Spine computed tomography — Sagittal slice 232/512 — 512x659 px — 10 vertebrae labeled in this scan
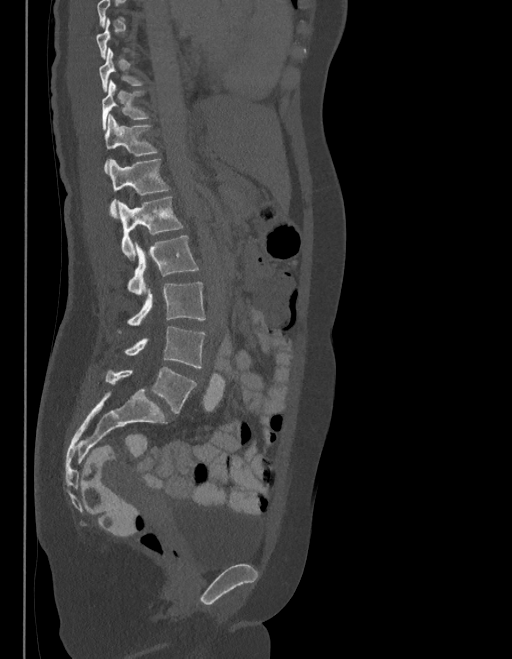 Box edges are left/top/right/bottom in pixels.
A vertebra gets a box only on the slices from the first to the last where its cross-section is at least a third of its largest; on a slice outside that range it gets none.
In these labels the spine has an L6, a sixth lumbar vertebra below L5.
T10: left=99, top=48, right=144, bottom=93
T11: left=102, top=81, right=149, bottom=129
T12: left=104, top=115, right=158, bottom=173
L1: left=109, top=158, right=169, bottom=219
L2: left=119, top=197, right=183, bottom=260
L3: left=127, top=236, right=198, bottom=293
L4: left=117, top=281, right=205, bottom=334
L5: left=124, top=327, right=205, bottom=368
L6: left=105, top=367, right=196, bottom=413